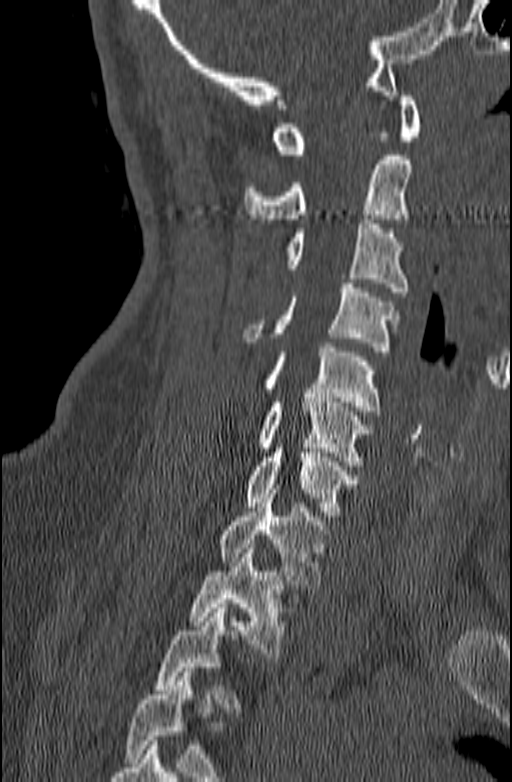
CT; sagittal view; bone-window reconstruction; 512x782 px
Each box is [x1, y1, x2, y2] in pixels: top-left corner, then bottom-right corner.
Not every vertebra on this slice has a box: a vertebra is boxed only from the first to the last slice where its cross-section is at least a third of its largest, and this slice is outside that range for at least one of them.
{"vertebrae":{"C1":[272,87,421,154],"C2":[244,155,412,223],"C3":[283,219,408,296],"C4":[242,283,398,351],"C5":[265,343,380,410],"C6":[256,393,373,465],"C7":[246,443,359,516],"T1":[217,489,330,589],"T2":[188,544,283,657]}}